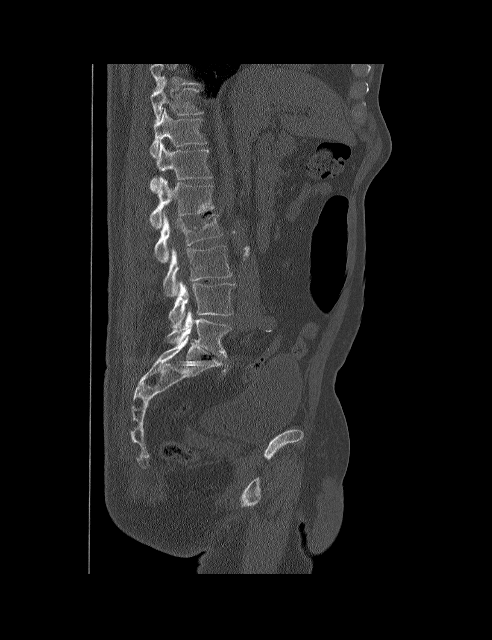

Spine CT — sagittal view
Boxes below are [x1, y1, x2, y2] in pixels.
Labels in this scan begin with T10 at the top and end with L5 at the bottom.
{"vertebrae":{"T10":[150,77,203,122],"T11":[150,108,207,157],"T12":[150,142,212,192],"L1":[149,177,213,228],"L2":[154,212,222,262],"L3":[163,245,231,297],"L4":[168,281,235,327],"L5":[166,310,231,357]}}